CT spine; sagittal reformat; W/L 1800/400 HU; 368 mm image width; 613x1182 px
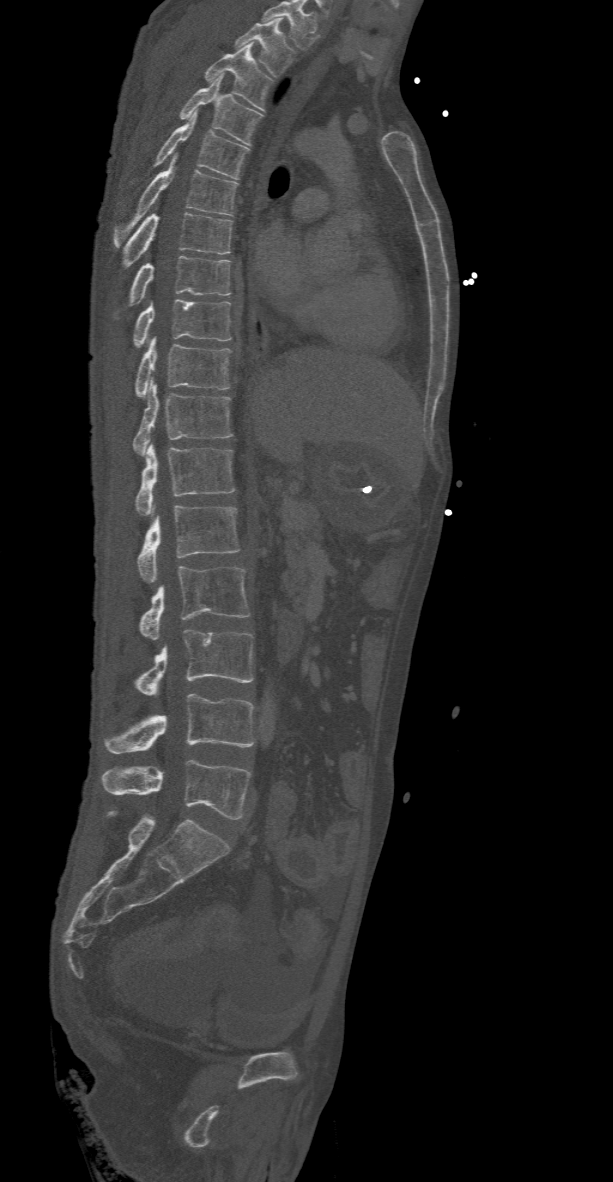

Columns x1, y1, x2, y2 give each box's top-left and bottom-right pixels.
In this scan, the topmost labeled vertebra is T2 and the lowest is L5.
| vertebra | x1 | y1 | x2 | y2 |
|---|---|---|---|---|
| T2 | 235 | 18 | 294 | 76 |
| T3 | 205 | 44 | 272 | 110 |
| T4 | 178 | 72 | 263 | 145 |
| T5 | 155 | 111 | 247 | 178 |
| T6 | 113 | 154 | 237 | 246 |
| T7 | 121 | 212 | 233 | 270 |
| T8 | 113 | 256 | 230 | 320 |
| T9 | 133 | 299 | 230 | 346 |
| T10 | 134 | 337 | 230 | 398 |
| T11 | 132 | 379 | 233 | 455 |
| T12 | 134 | 442 | 235 | 515 |
| L1 | 137 | 506 | 241 | 581 |
| L2 | 138 | 566 | 251 | 640 |
| L3 | 133 | 629 | 254 | 695 |
| L4 | 103 | 694 | 254 | 753 |
| L5 | 102 | 759 | 251 | 820 |